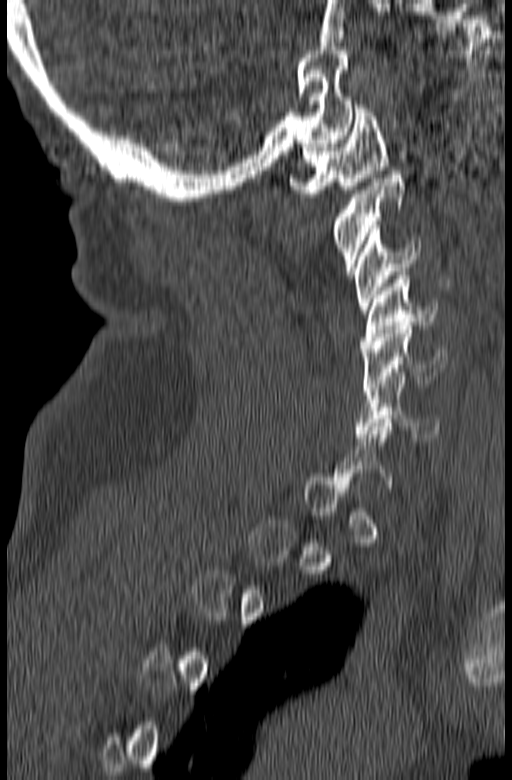
Spine CT — image 165 mm wide — sagittal reformat
Boxes are given in columns x1, y1, x2, y2, the pixel coordinates of their top-left and bottom-right corners.
Not every vertebra on this slice has a box: a vertebra is boxed only from the first to the last slice where its cross-section is at least a third of its largest, and this slice is outside that range for at least one of them.
| vertebra | x1 | y1 | x2 | y2 |
|---|---|---|---|---|
| C1 | 289 | 105 | 388 | 197 |
| C2 | 330 | 171 | 405 | 271 |
| C3 | 352 | 225 | 419 | 313 |
| C4 | 361 | 272 | 438 | 348 |
| C5 | 361 | 322 | 447 | 391 |
| C6 | 355 | 376 | 440 | 441 |